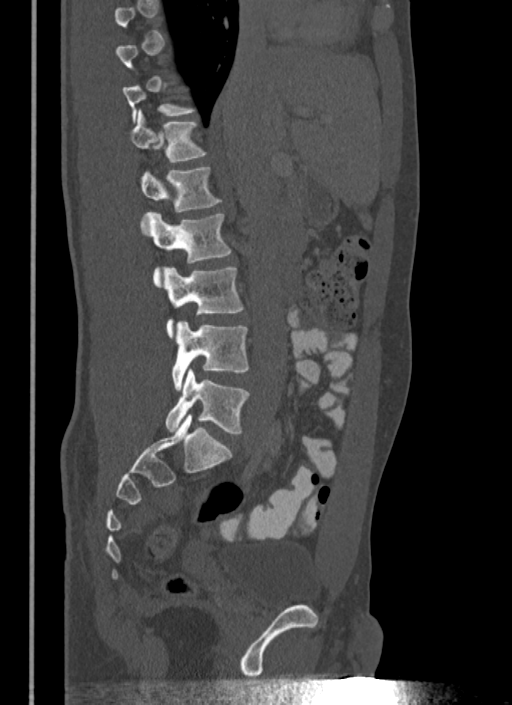
CT, spine; image 340 mm wide; sagittal view

A vertebra is boxed only from the first to the last slice where its cross-section is at least a third of its largest; slices outside that range leave it without a box.
<vertebrae><v name="L5" x1="165" y1="369" x2="249" y2="434"/><v name="L4" x1="171" y1="321" x2="249" y2="391"/><v name="L3" x1="164" y1="267" x2="243" y2="336"/><v name="L2" x1="144" y1="212" x2="231" y2="285"/><v name="L1" x1="140" y1="167" x2="220" y2="211"/><v name="T12" x1="128" y1="113" x2="205" y2="162"/></vertebrae>